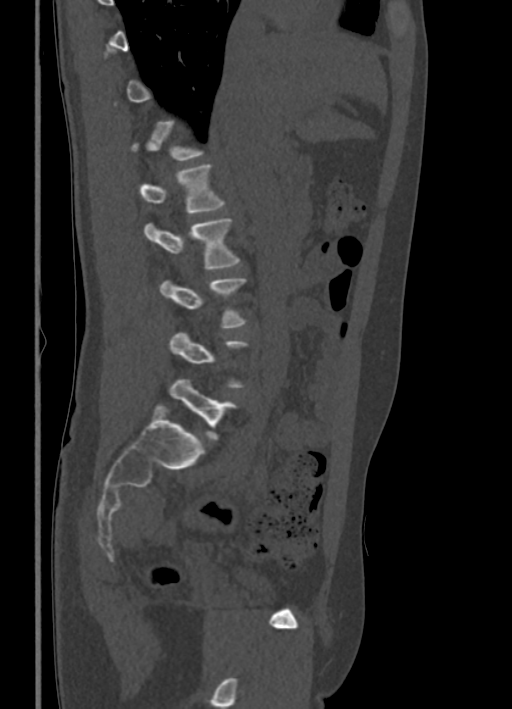

CT · sagittal reformat · bone window · the image spans 336 mm across
Box values are [left, top, right, bottom] in pixels.
A vertebra gets a box only on the slices from the first to the last where its cross-section is at least a third of its largest; on a slice outside that range it gets none.
{"vertebrae":{"L1":[138,163,224,214],"L2":[145,218,240,269],"L3":[160,277,247,328],"L4":[170,331,249,388],"L5":[169,378,237,439]}}